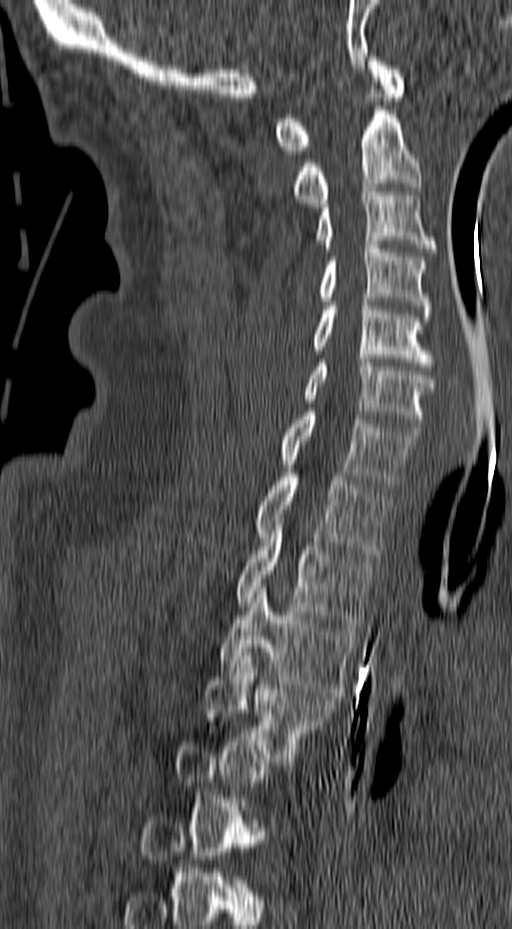 Spine CT — sagittal view — 157 mm image width
Each box given as x1,y1,x2,y2.
Not every vertebra on this slice has a box: a vertebra is boxed only from the first to the last slice where its cross-section is at least a third of its largest, and this slice is outside that range for at least one of them.
| vertebra | x1 | y1 | x2 | y2 |
|---|---|---|---|---|
| T4 | 203 | 652 | 336 | 765 |
| T3 | 220 | 583 | 356 | 696 |
| T2 | 236 | 518 | 372 | 627 |
| T1 | 256 | 473 | 391 | 557 |
| C7 | 282 | 412 | 421 | 488 |
| C6 | 304 | 359 | 434 | 431 |
| C5 | 311 | 294 | 434 | 366 |
| C4 | 317 | 241 | 430 | 317 |
| C3 | 314 | 188 | 437 | 252 |
| C2 | 291 | 94 | 421 | 207 |
| C1 | 275 | 57 | 405 | 154 |